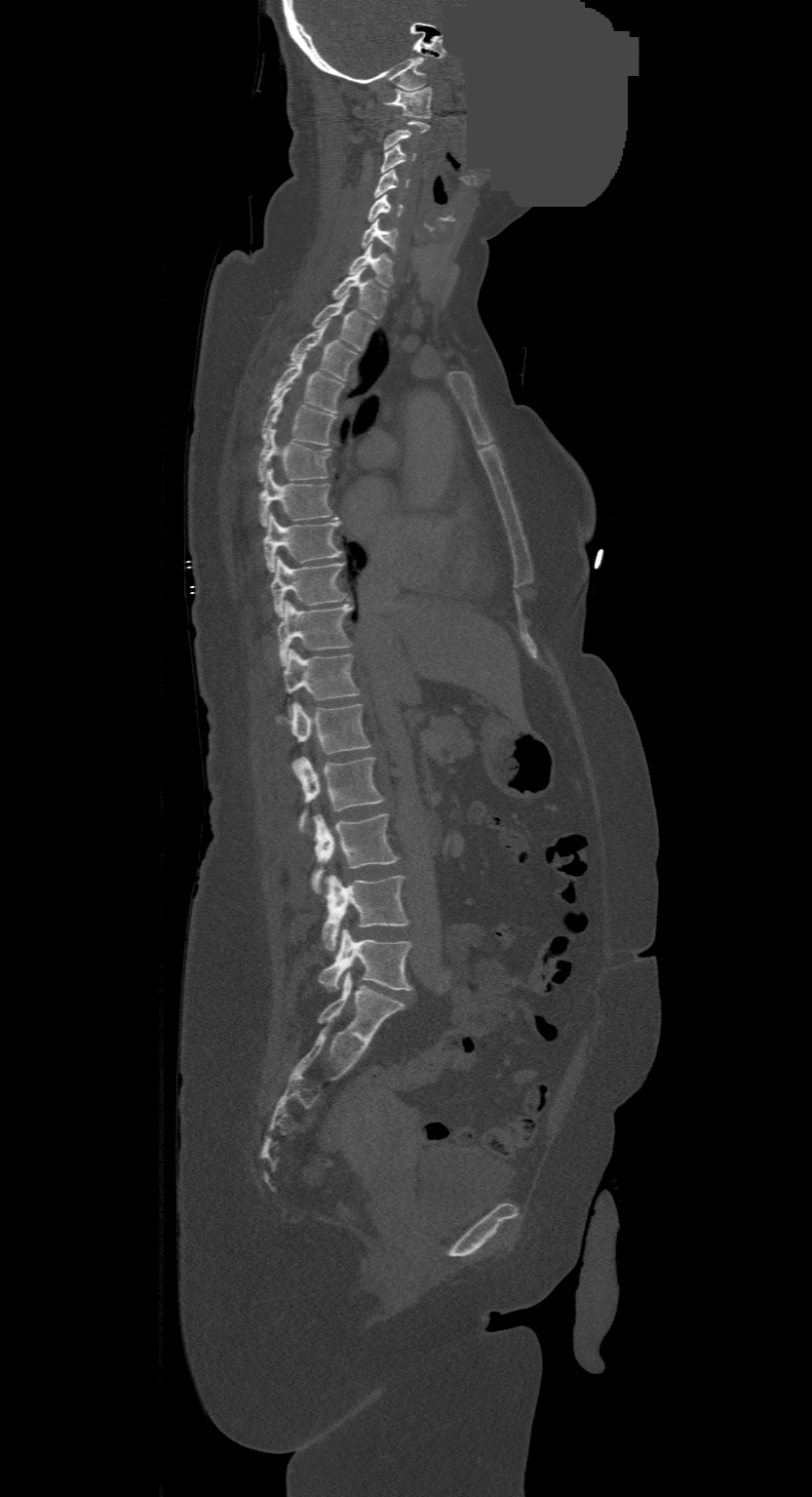 Spine computed tomography — 500 mm image width — sagittal view — some of the image was removed or blocked out with constant pixels
The highest labeled vertebra in this scan is C1; the lowest is L4.
<vertebrae><v name="L4" x1="319" y1="930" x2="411" y2="991"/><v name="L3" x1="322" y1="875" x2="408" y2="950"/><v name="L2" x1="311" y1="813" x2="399" y2="893"/><v name="L1" x1="298" y1="756" x2="385" y2="833"/><v name="T12" x1="278" y1="702" x2="370" y2="771"/><v name="T11" x1="284" y1="650" x2="359" y2="715"/><v name="T10" x1="278" y1="602" x2="353" y2="666"/><v name="T9" x1="271" y1="556" x2="346" y2="617"/><v name="T8" x1="263" y1="514" x2="342" y2="571"/><v name="T7" x1="260" y1="468" x2="332" y2="526"/><v name="T6" x1="258" y1="429" x2="330" y2="482"/><v name="T5" x1="262" y1="389" x2="335" y2="445"/><v name="T4" x1="270" y1="355" x2="343" y2="413"/><v name="T3" x1="289" y1="326" x2="358" y2="379"/><v name="T2" x1="313" y1="296" x2="375" y2="350"/><v name="T1" x1="331" y1="270" x2="388" y2="318"/><v name="C7" x1="349" y1="244" x2="394" y2="286"/><v name="C6" x1="360" y1="218" x2="398" y2="253"/><v name="C5" x1="367" y1="194" x2="404" y2="222"/><v name="C4" x1="374" y1="170" x2="408" y2="198"/><v name="C3" x1="381" y1="143" x2="414" y2="172"/><v name="C2" x1="384" y1="121" x2="429" y2="149"/><v name="C1" x1="382" y1="87" x2="432" y2="118"/></vertebrae>